Spine computed tomography. 191 mm wide. sagittal reformat. scan covers 18 annotated vertebrae
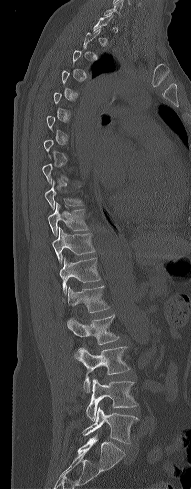

Columns x1, y1, x2, y2 give each box's top-left and bottom-right pixels.
A vertebra gets a box only on the slices from the first to the last where its cross-section is at least a third of its largest; on a slice outside that range it gets none.
| vertebra | x1 | y1 | x2 | y2 |
|---|---|---|---|---|
| T10 | 48 | 202 | 88 | 236 |
| T11 | 52 | 227 | 95 | 263 |
| T12 | 59 | 258 | 101 | 292 |
| L1 | 61 | 286 | 110 | 312 |
| L2 | 66 | 315 | 119 | 344 |
| L3 | 73 | 346 | 130 | 391 |
| L4 | 86 | 378 | 137 | 420 |
| L5 | 82 | 406 | 137 | 444 |